CT — sagittal plane, index 353 — bone-window reconstruction — 512x919 px
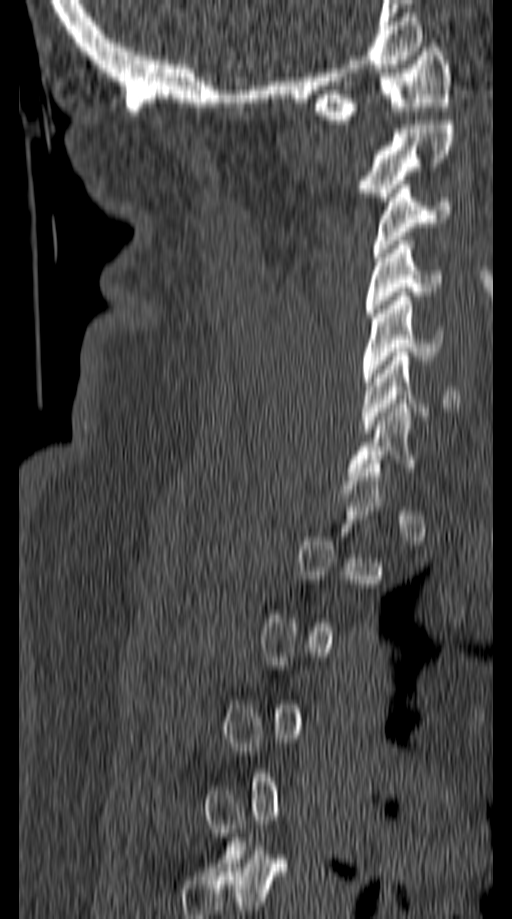 A vertebra is boxed only from the first to the last slice where its cross-section is at least a third of its largest; slices outside that range leave it without a box.
<vertebrae><v name="C1" x1="314" y1="43" x2="450" y2="124"/><v name="C2" x1="359" y1="120" x2="454" y2="201"/><v name="C3" x1="372" y1="180" x2="453" y2="257"/><v name="C4" x1="365" y1="241" x2="440" y2="317"/><v name="C5" x1="362" y1="292" x2="443" y2="386"/><v name="C6" x1="362" y1="352" x2="458" y2="433"/></vertebrae>